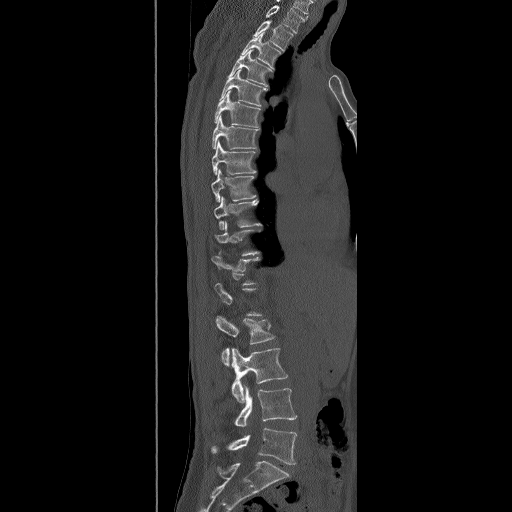

Spine computed tomography — sagittal view — W/L 1800/400 HU — 490 mm image width — 512x512 px
Bounding boxes as [x1, y1, x2, y2] in pixel coordinates.
Each vertebra is boxed only on the slices from the first to the last where its cross-section reaches a third of its largest, so a slice outside that range leaves it unboxed.
The highest labeled vertebra in this scan is T2; the lowest is L5.
T2: [252, 20, 293, 51]
T3: [241, 32, 281, 69]
T4: [228, 50, 272, 86]
T5: [219, 69, 267, 106]
T6: [214, 90, 260, 127]
T7: [212, 114, 259, 149]
T8: [212, 140, 256, 174]
T9: [210, 169, 256, 202]
T10: [214, 196, 262, 230]
L2: [216, 315, 275, 365]
L3: [231, 348, 288, 403]
L4: [234, 386, 297, 426]
L5: [211, 428, 296, 465]